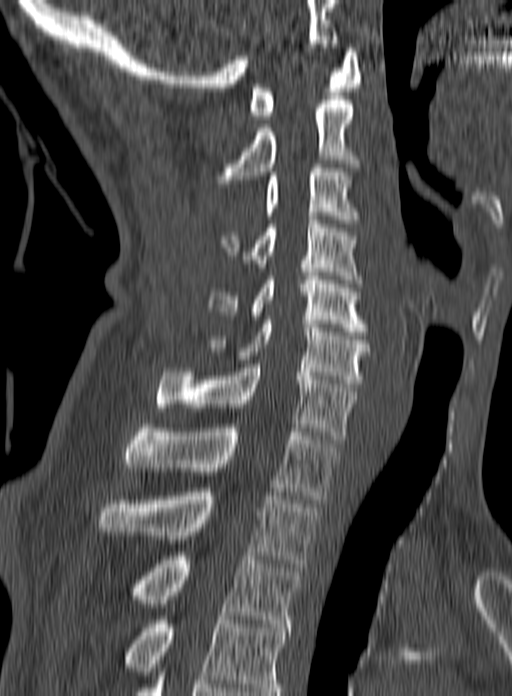 Spine CT. sagittal view. bone window
In this scan, the topmost labeled vertebra is C1 and the lowest is T3.
<vertebrae><v name="C1" x1="249" y1="48" x2="362" y2="119"/><v name="C2" x1="217" y1="100" x2="359" y2="183"/><v name="C3" x1="264" y1="164" x2="357" y2="223"/><v name="C4" x1="220" y1="216" x2="362" y2="287"/><v name="C5" x1="208" y1="276" x2="368" y2="335"/><v name="C6" x1="202" y1="320" x2="370" y2="387"/><v name="C7" x1="155" y1="364" x2="356" y2="443"/><v name="T1" x1="125" y1="424" x2="339" y2="499"/><v name="T2" x1="97" y1="492" x2="320" y2="567"/><v name="T3" x1="132" y1="552" x2="301" y2="627"/></vertebrae>